CT — sagittal plane, index 254 — 512x695 px — 333 mm image width
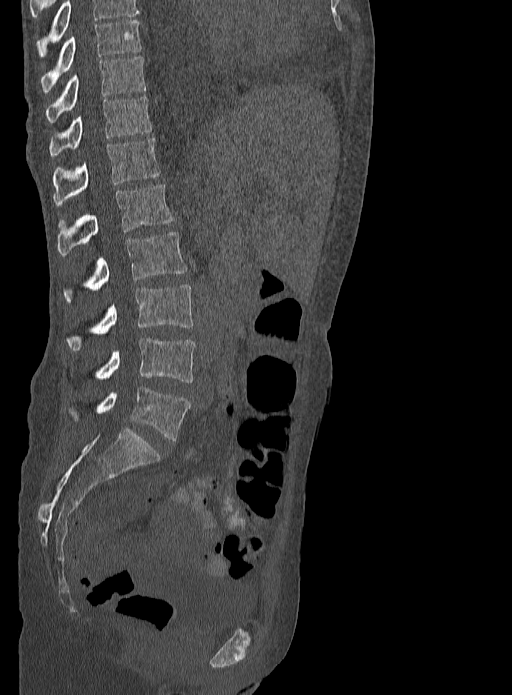 Boxes: x1 y1 x2 y2 (pixel coords, space-separated).
In this scan, the topmost labeled vertebra is T9 and the lowest is L5.
Vertebra bounding boxes:
- L5: 67 387 189 440
- L4: 94 338 196 382
- L3: 66 284 194 350
- L2: 63 232 186 302
- L1: 57 185 174 254
- T12: 52 138 160 205
- T11: 49 95 151 156
- T10: 46 57 146 122
- T9: 41 20 142 93